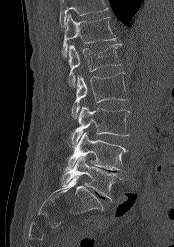

Spine CT. 174 mm image width. sagittal view. W/L 1800/400 HU. 174x247 px

Box values are [left, top, right, bottom] in pixels.
A vertebra cut off by the top edge of the scan is not labeled and has no box.
{"vertebrae":{"L5":[61,156,122,200],"L4":[65,132,127,170],"L3":[71,106,130,148],"L2":[71,73,128,118],"L1":[68,43,120,87],"T12":[61,14,117,57]}}